Spine computed tomography · sagittal reformat · Bone window (WL 400, WW 1800) · 371x594 px
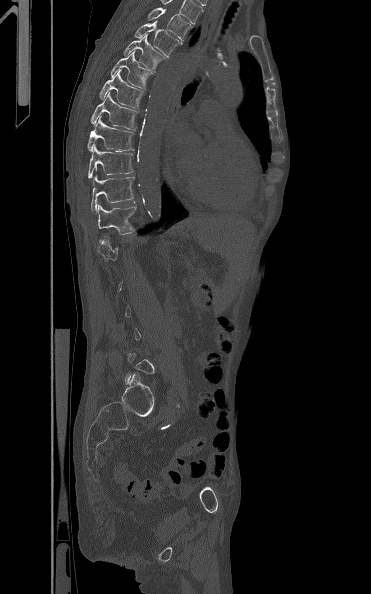
Boxes below are [x1, y1, x2, y2] in pixels.
Each vertebra is boxed only on the slices from the first to the last where its cross-section reaches a third of its largest, so a slice outside that range leaves it unboxed.
{"vertebrae":{"T3":[147,7,192,40],"T4":[134,20,182,57],"T5":[123,34,166,70],"T6":[110,50,152,88],"T7":[99,70,144,108],"T8":[90,91,137,129],"T9":[87,117,134,152],"T10":[87,143,133,178],"T11":[91,176,134,211],"T12":[97,204,140,242]}}